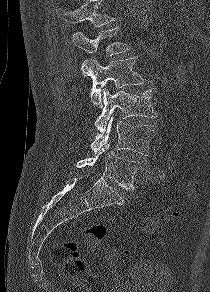

Spine CT; sagittal view; W/L 1800/400 HU; 210x292 px

Boxes: x1:y1:x2:y2 in pixels.
Vertebrae that run past the top of the scan are left unlabeled.
L5: 76:144:137:190
L4: 91:116:154:155
L3: 94:88:157:133
L2: 83:57:144:107
L1: 72:26:131:74